Spine CT; sagittal reformat; 430 mm across the image; bone window
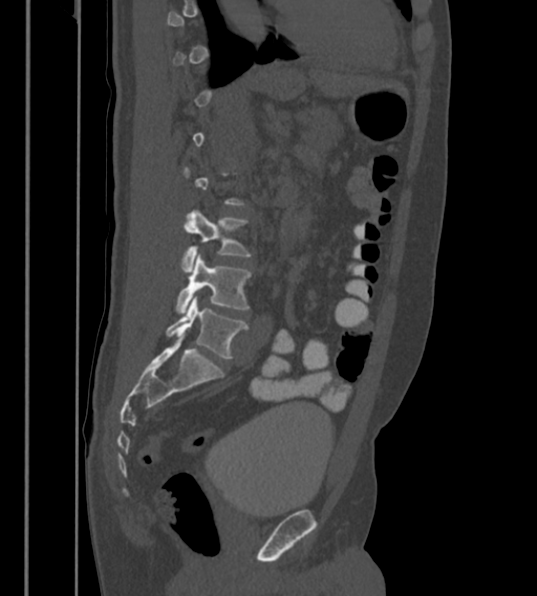
Boxes: x1:y1:x2:y2 in pixels.
Not every vertebra on this slice has a box: a vertebra is boxed only from the first to the last slice where its cross-section is at least a third of its largest, and this slice is outside that range for at least one of them.
In these labels the spine has an L6, a sixth lumbar vertebra below L5.
Vertebra bounding boxes:
- L4: 181:210:249:271
- L5: 175:254:249:313
- L6: 166:295:247:358